Spine computed tomography. sagittal view. 382 mm wide. 382x541 px
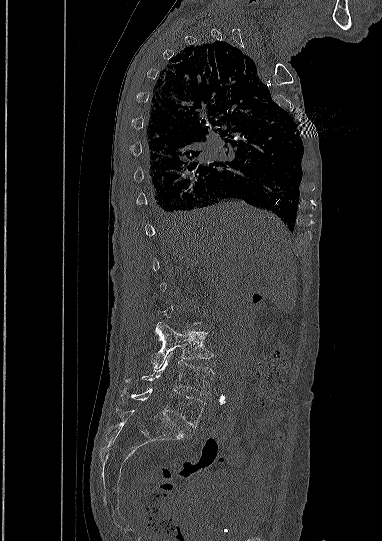
In the table, x1 and y1 are a box's top-left corner and x2 and y2 its bottom-right corner, in pixels.
Each vertebra is boxed only on the slices from the first to the last where its cross-section reaches a third of its largest, so a slice outside that range leaves it unboxed.
| vertebra | x1 | y1 | x2 | y2 |
|---|---|---|---|---|
| L3 | 151 | 322 | 212 | 370 |
| L4 | 142 | 352 | 214 | 395 |
| L5 | 121 | 388 | 205 | 426 |